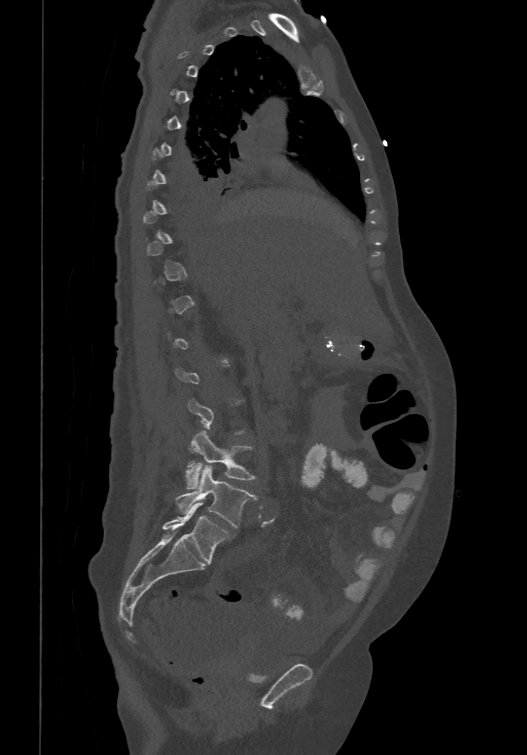

CT. the image spans 474 mm across. sagittal view. 527x755 px

Columns x1, y1, x2, y2 give each box's top-left and bottom-right pixels.
Not every vertebra on this slice has a box: a vertebra is boxed only from the first to the last slice where its cross-section is at least a third of its largest, and this slice is outside that range for at least one of them.
The labels name a sixth lumbar vertebra for this spine: L6, after L5.
| vertebra | x1 | y1 | x2 | y2 |
|---|---|---|---|---|
| L4 | 185 | 431 | 255 | 488 |
| L5 | 176 | 466 | 255 | 527 |
| L6 | 163 | 503 | 229 | 563 |